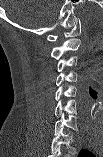

Computed tomography of the spine. sagittal view. bone-window reconstruction. image 103 mm wide. 103x157 px

Box values are [left, top, right, bottom] in pixels.
This scan's labels start at C1 at the top and end at C7 at the bottom.
{"vertebrae":{"C7":[54,112,77,135],"C6":[54,99,77,118],"C5":[55,85,76,100],"C4":[56,70,77,85],"C3":[57,56,77,71],"C2":[50,38,80,59],"C1":[47,18,80,41]}}